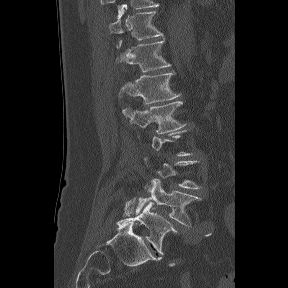
CT spine. sagittal view. Bone window (WL 400, WW 1800)
Each vertebra maps to its box as [x1, y1, x2, y2], the pixel coordinates of its top-left and bottom-right corners.
Each vertebra is boxed only on the slices from the first to the last where its cross-section reaches a third of its largest, so a slice outside that range leaves it unboxed.
In these labels the spine has an L6, a sixth lumbar vertebra below L5.
{"vertebrae":{"T11":[109,4,163,39],"T12":[116,37,170,72],"L1":[119,72,180,104],"L2":[122,101,186,133],"L5":[136,179,201,226],"L6":[117,202,178,255]}}